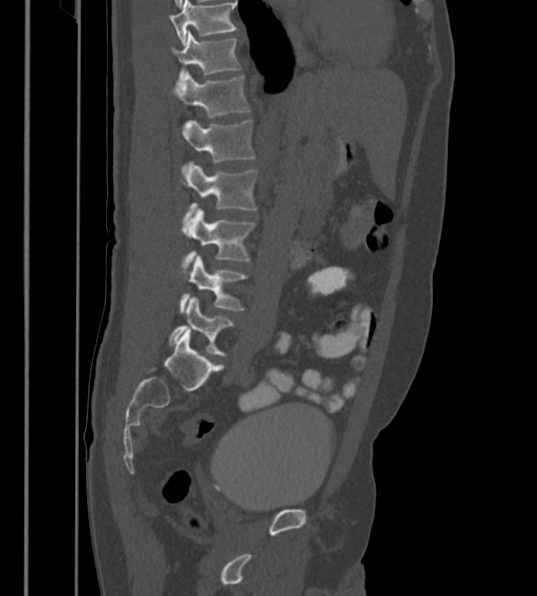 Computed tomography of the spine — sagittal view — bone-window reconstruction — 537x596 px

Box edges are left/top/right/bottom in pixels. This scan's labels start at T12 at the top and end at L6 at the bottom. These labels give the spine a sixth lumbar vertebra, L6, below L5. 7 vertebrae labeled — L6 at left=169, top=297, right=234, bottom=355; L5 at left=180, top=255, right=248, bottom=313; L4 at left=181, top=209, right=255, bottom=273; L3 at left=182, top=161, right=258, bottom=219; L2 at left=181, top=120, right=255, bottom=170; L1 at left=171, top=71, right=250, bottom=118; T12 at left=171, top=31, right=241, bottom=84.